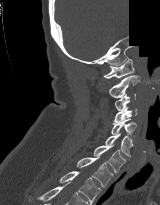

CT spine · sagittal view · Bone window (WL 400, WW 1800) · a region is blanked to uniform black, ending in a straight edge
Bounding boxes as [x1, y1, x2, y2] in pixel coordinates. 9 vertebrae labeled — C1 at [103, 58, 134, 78]; C2 at [108, 75, 139, 98]; C3 at [114, 93, 135, 110]; C4 at [113, 107, 137, 124]; C5 at [111, 118, 136, 135]; C6 at [105, 133, 133, 156]; C7 at [93, 145, 126, 172]; T1 at [76, 154, 113, 187]; T2 at [59, 171, 101, 204].